CT, spine — sagittal view
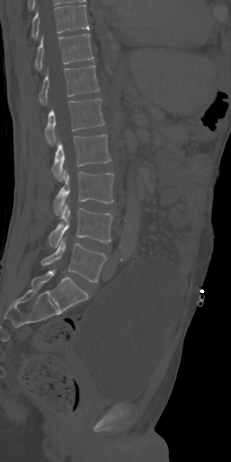 Each box is [x1, y1, x2, y2] in pixels: top-left corner, then bottom-right corner.
{"vertebrae":{"T10":[31,5,89,38],"T11":[35,33,93,70],"T12":[39,65,99,104],"L1":[45,99,104,144],"L2":[52,134,111,181],"L3":[53,171,114,214],"L4":[48,204,112,247],"L5":[41,237,106,282]}}